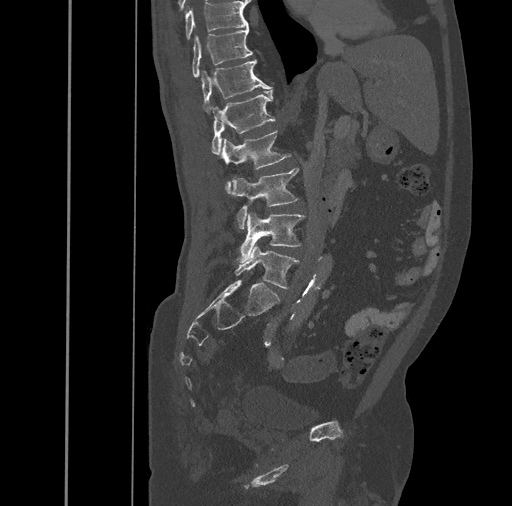 Computed tomography of the spine. sagittal view. bone-window reconstruction. 461 mm across the image
Box edges are left/top/right/bottom in pixels.
| vertebra | x1 | y1 | x2 | y2 |
|---|---|---|---|---|
| T10 | 184 | 1 | 248 | 40 |
| T11 | 192 | 27 | 252 | 77 |
| T12 | 201 | 59 | 272 | 114 |
| L1 | 211 | 90 | 275 | 154 |
| L2 | 220 | 131 | 290 | 194 |
| L3 | 232 | 168 | 298 | 228 |
| L4 | 238 | 213 | 305 | 262 |
| L5 | 235 | 244 | 299 | 288 |